CT · image width 471 mm · sagittal view
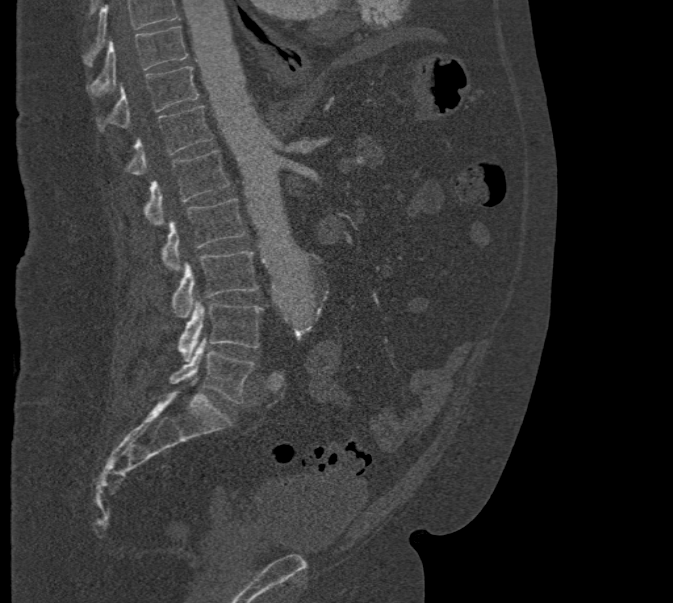

No box is given to a vertebra that the top edge of the scan cuts off.
<vertebrae><v name="T10" x1="87" y1="26" x2="187" y2="95"/><v name="T11" x1="97" y1="66" x2="199" y2="129"/><v name="T12" x1="127" y1="105" x2="213" y2="175"/><v name="L1" x1="145" y1="149" x2="229" y2="225"/><v name="L2" x1="163" y1="199" x2="245" y2="272"/><v name="L3" x1="171" y1="250" x2="258" y2="318"/><v name="L4" x1="179" y1="299" x2="263" y2="361"/><v name="L5" x1="170" y1="339" x2="253" y2="404"/></vertebrae>